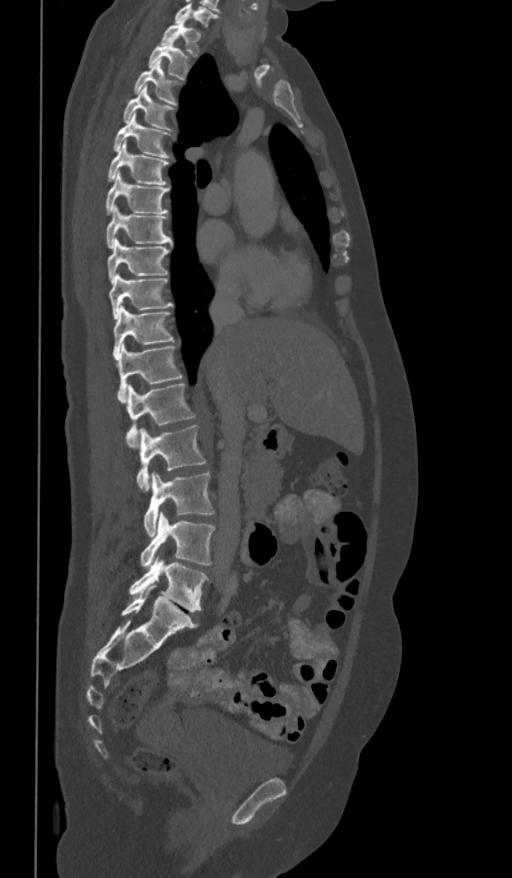
CT spine · sagittal view · bone window · 512x878 px
Box edges are left/top/right/bottom in pixels.
In this scan, the topmost labeled vertebra is T1 and the lowest is L5.
| vertebra | x1 | y1 | x2 | y2 |
|---|---|---|---|---|
| T1 | 161 | 18 | 200 | 56 |
| T2 | 149 | 40 | 189 | 79 |
| T3 | 135 | 60 | 176 | 105 |
| T4 | 123 | 86 | 172 | 130 |
| T5 | 113 | 112 | 170 | 157 |
| T6 | 108 | 140 | 168 | 184 |
| T7 | 105 | 171 | 169 | 213 |
| T8 | 106 | 206 | 172 | 248 |
| T9 | 108 | 239 | 169 | 282 |
| T10 | 109 | 274 | 172 | 318 |
| T11 | 113 | 305 | 173 | 358 |
| T12 | 115 | 342 | 182 | 401 |
| L1 | 125 | 383 | 195 | 447 |
| L2 | 136 | 425 | 206 | 490 |
| L3 | 143 | 471 | 214 | 535 |
| L4 | 140 | 511 | 214 | 568 |
| L5 | 129 | 555 | 207 | 612 |